Spine CT; the image spans 367 mm across; sagittal plane, index 225; 9 vertebrae labeled in this scan
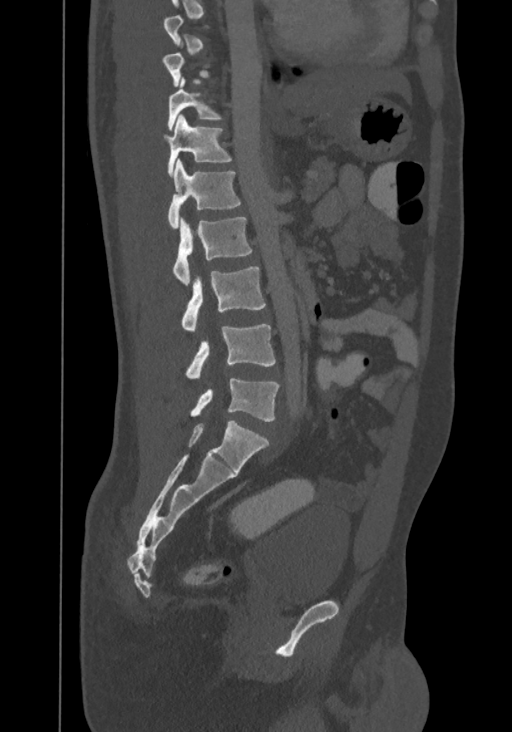 Each box given as x1,y1,x2,y2. A vertebra is boxed only from the first to the last slice where its cross-section is at least a third of its largest; slices outside that range leave it without a box. In this scan, the topmost labeled vertebra is T8 and the lowest is L4. Vertebrae labeled: T10 at x1=167, y1=77, x2=222, y2=130, T11 at x1=164, y1=114, x2=232, y2=175, T12 at x1=167, y1=159, x2=240, y2=229, L1 at x1=173, y1=217, x2=251, y2=285, L2 at x1=181, y1=266, x2=265, y2=330, L3 at x1=185, y1=324, x2=275, y2=378, L4 at x1=190, y1=378, x2=279, y2=421.